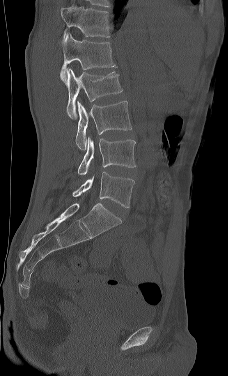

Spine CT — image 228 mm wide — sagittal view
Bounding boxes as [x1, y1, x2, y2] in pixel coordinates. Labels in this scan begin with L1 at the top and end with L5 at the bottom. The labeled vertebrae in this slice are: L1 at [60, 33, 117, 80], L2 at [64, 68, 122, 118], L3 at [75, 101, 131, 150], L4 at [77, 136, 135, 175], L5 at [72, 171, 134, 207].